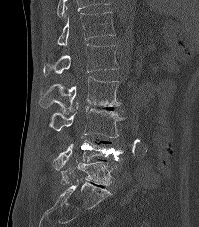 CT, spine; 199 mm image width; sagittal view; bone window
Columns x1, y1, x2, y2 give each box's top-left and bottom-right pixels.
The highest labeled vertebra in this scan is T12; the lowest is L5.
| vertebra | x1 | y1 | x2 | y2 |
|---|---|---|---|---|
| T12 | 57 | 11 | 115 | 49 |
| L1 | 43 | 44 | 118 | 75 |
| L2 | 39 | 77 | 120 | 115 |
| L3 | 48 | 106 | 126 | 137 |
| L4 | 52 | 136 | 123 | 171 |
| L5 | 58 | 161 | 112 | 185 |